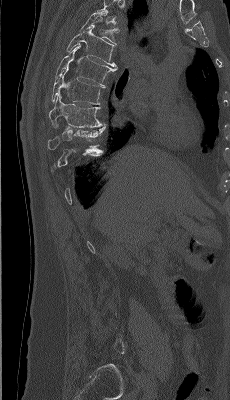
CT spine. sagittal view. 230x400 px

Boxes below are [x1, y1, x2, y2] in pixels.
A vertebra gets a box only on the slices from the first to the last where its cross-section is at least a third of its largest; on a slice outside that range it gets none.
Labels in this scan begin with T4 at the top and end with L5 at the bottom.
{"vertebrae":{"T4":[80,10,119,42],"T5":[66,25,117,67],"T6":[55,44,116,86],"T7":[51,68,105,104],"T8":[49,93,105,127],"T9":[47,125,105,149]}}